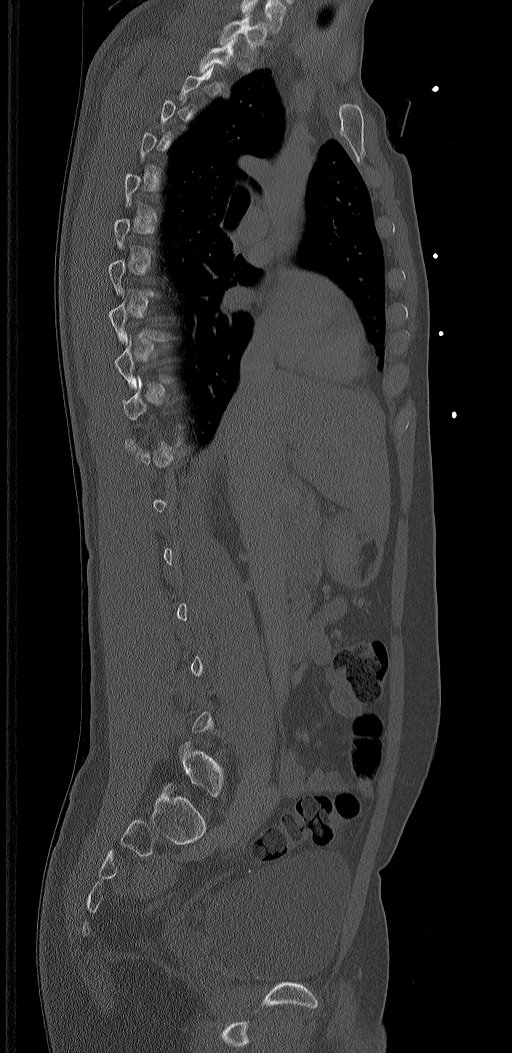

Computed tomography of the spine · sagittal view · 320 mm across the image · Bone window (WL 400, WW 1800) · 512x1053 px
Boxes: x1 y1 x2 y2 (pixel coords, space-separated). A vertebra gets a box only on the slices from the first to the last where its cross-section is at least a third of its largest; on a slice outside that range it gets none. In these labels the spine has an L6, a sixth lumbar vertebra below L5. The labeled vertebrae in this slice are: T1 at 220 16 267 60, L6 at 180 741 223 796.